Computed tomography of the spine · sagittal view
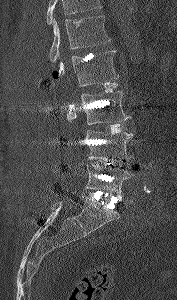

Each box given as x1,y1,x2,y2. No box is given to a vertebra that the top edge of the scan cuts off. 5 vertebrae labeled — L1 at x1=48, y1=15, x2=110, y2=62; L2 at x1=52, y1=50, x2=119, y2=86; L3 at x1=67, y1=91, x2=131, y2=124; L4 at x1=74, y1=130, x2=133, y2=161; L5 at x1=85, y1=164, x2=133, y2=199.